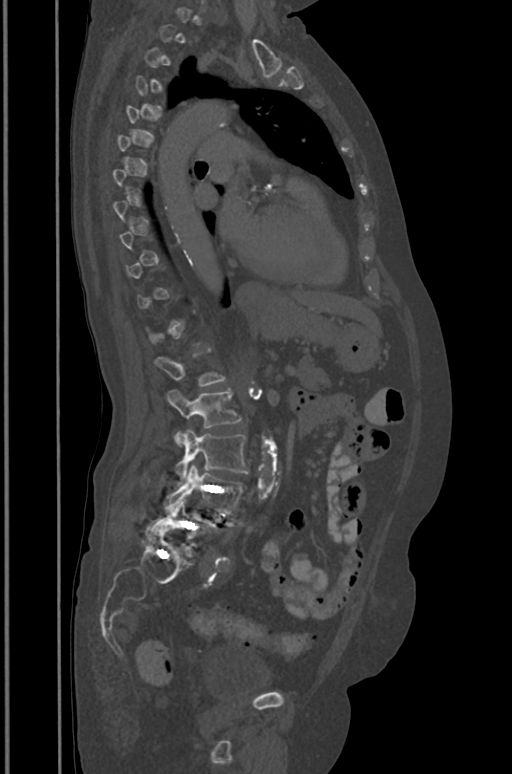
CT, spine. sagittal view. bone window
Box edges are left/top/right/bottom in pixels.
A vertebra gets a box only on the slices from the first to the last where its cross-section is at least a third of its largest; on a slice outside that range it gets none.
Vertebra bounding boxes:
- L1: left=154, top=349, right=226, bottom=386
- L2: left=166, top=390, right=241, bottom=446
- L3: left=174, top=429, right=248, bottom=483
- L4: left=165, top=464, right=246, bottom=514
- L5: left=152, top=500, right=220, bottom=550